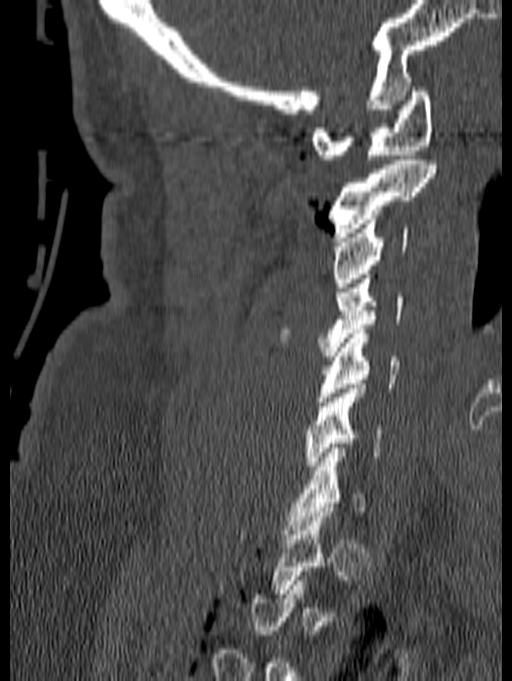

CT, spine · sagittal view · bone window · 512x681 px. Each box given as x1,y1,x2,y2.
Not every vertebra on this slice has a box: a vertebra is boxed only from the first to the last slice where its cross-section is at least a third of its largest, and this slice is outside that range for at least one of them.
| vertebra | x1 | y1 | x2 | y2 |
|---|---|---|---|---|
| C1 | 312 | 87 | 433 | 159 |
| C2 | 329 | 160 | 436 | 237 |
| C3 | 333 | 219 | 409 | 287 |
| C4 | 279 | 274 | 403 | 356 |
| C5 | 317 | 329 | 399 | 401 |
| C6 | 305 | 384 | 383 | 470 |